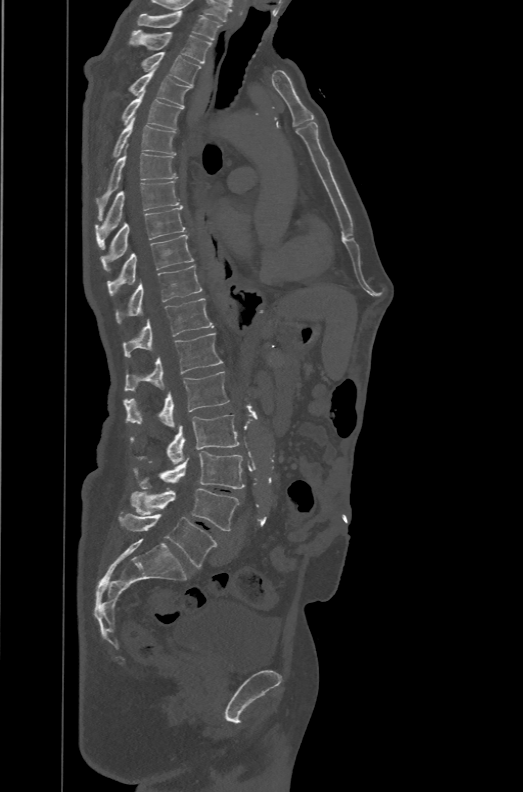 CT · the image is 471 mm wide · sagittal reformat. Each box given as x1,y1,x2,y2.
These labels give the spine a sixth lumbar vertebra, L6, below L5.
| vertebra | x1 | y1 | x2 | y2 |
|---|---|---|---|---|
| T1 | 137 | 10 | 222 | 40 |
| T2 | 129 | 30 | 212 | 63 |
| T3 | 141 | 52 | 200 | 86 |
| T4 | 129 | 69 | 191 | 107 |
| T5 | 121 | 91 | 182 | 130 |
| T6 | 112 | 116 | 176 | 157 |
| T7 | 95 | 145 | 177 | 220 |
| T8 | 95 | 181 | 183 | 249 |
| T9 | 101 | 208 | 185 | 270 |
| T10 | 106 | 234 | 193 | 295 |
| T11 | 116 | 265 | 202 | 323 |
| T12 | 123 | 298 | 214 | 357 |
| L1 | 125 | 333 | 222 | 391 |
| L2 | 123 | 372 | 229 | 427 |
| L3 | 130 | 414 | 239 | 464 |
| L4 | 133 | 451 | 244 | 489 |
| L5 | 130 | 488 | 239 | 530 |
| L6 | 119 | 513 | 217 | 568 |